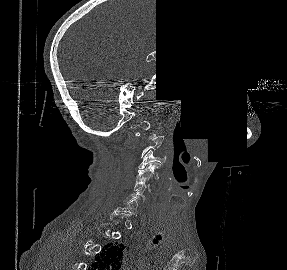

CT spine · sagittal view · bone window · 287x270 px · some of the image was removed or blocked out with constant pixels

Bounding boxes as [x1, y1, x2, y2] in pixel coordinates. A vertebra is boxed only from the first to the last slice where its cross-section is at least a third of its largest; slices outside that range leave it without a box. 4 vertebrae labeled — C1 at [130, 121, 155, 139]; C3 at [138, 150, 165, 168]; C4 at [136, 162, 160, 180]; C6 at [123, 188, 145, 203].